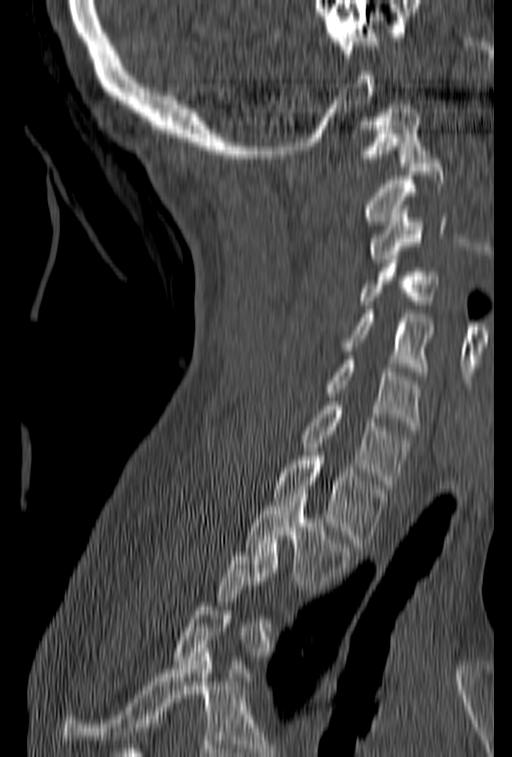 CT, spine. sagittal view. bone-window reconstruction. 512x757 px
Columns x1, y1, x2, y2 give each box's top-left and bottom-right pixels.
A vertebra is boxed only from the first to the last slice where its cross-section is at least a third of its largest; slices outside that range leave it without a box.
| vertebra | x1 | y1 | x2 | y2 |
|---|---|---|---|---|
| C1 | 353 | 109 | 429 | 166 |
| C2 | 363 | 159 | 445 | 229 |
| C3 | 368 | 205 | 464 | 263 |
| C4 | 357 | 251 | 439 | 309 |
| C5 | 343 | 310 | 432 | 375 |
| C6 | 325 | 356 | 422 | 430 |
| C7 | 299 | 397 | 412 | 488 |
| T1 | 273 | 452 | 388 | 547 |
| T2 | 245 | 489 | 352 | 589 |